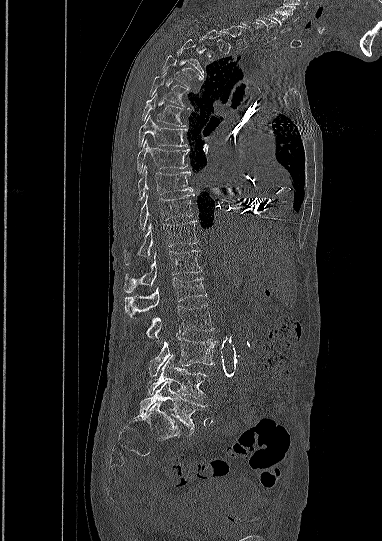

CT spine — sagittal view — the image is 382 mm wide
In the table, x1 and y1 are a box's top-left corner and x2 and y2 its bottom-right corner, in pixels.
Each vertebra is boxed only on the slices from the first to the last where its cross-section reaches a third of its largest, so a slice outside that range leaves it unboxed.
The highest labeled vertebra in this scan is C5; the lowest is L5.
| vertebra | x1 | y1 | x2 | y2 |
|---|---|---|---|---|
| C5 | 268 | 12 | 288 | 32 |
| C6 | 256 | 17 | 276 | 40 |
| T3 | 177 | 39 | 203 | 77 |
| T4 | 163 | 55 | 202 | 87 |
| T5 | 150 | 73 | 189 | 109 |
| T6 | 142 | 95 | 185 | 126 |
| T7 | 138 | 115 | 187 | 146 |
| T8 | 137 | 140 | 188 | 172 |
| T9 | 138 | 165 | 192 | 199 |
| T10 | 139 | 194 | 194 | 229 |
| T11 | 124 | 221 | 197 | 264 |
| T12 | 124 | 250 | 201 | 292 |
| L1 | 125 | 278 | 206 | 316 |
| L2 | 146 | 305 | 213 | 339 |
| L3 | 149 | 337 | 214 | 375 |
| L4 | 147 | 355 | 207 | 399 |
| L5 | 140 | 381 | 208 | 432 |